Spine CT · image 162 mm wide · sagittal view · bone window
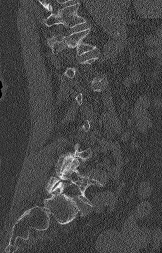
A vertebra is boxed only from the first to the last slice where its cross-section is at least a third of its largest; slices outside that range leave it without a box.
Where the top of the scan cuts through a vertebra, that vertebra gets no label or box.
<vertebrae><v name="L5" x1="47" y1="156" x2="101" y2="205"/><v name="T12" x1="47" y1="28" x2="96" y2="55"/></vertebrae>